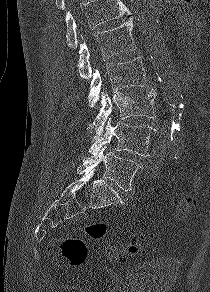

CT · sagittal view · 210x292 px · image width 210 mm
Each box is [x1, y1, x2, y2] in pixels: top-left corner, then bottom-right corner.
No box is given to a vertebra that the top edge of the scan cuts off.
{"vertebrae":{"L1":[78,19,136,78],"L2":[88,57,147,108],"L3":[86,89,156,135],"L4":[89,117,155,157],"L5":[77,145,141,191]}}